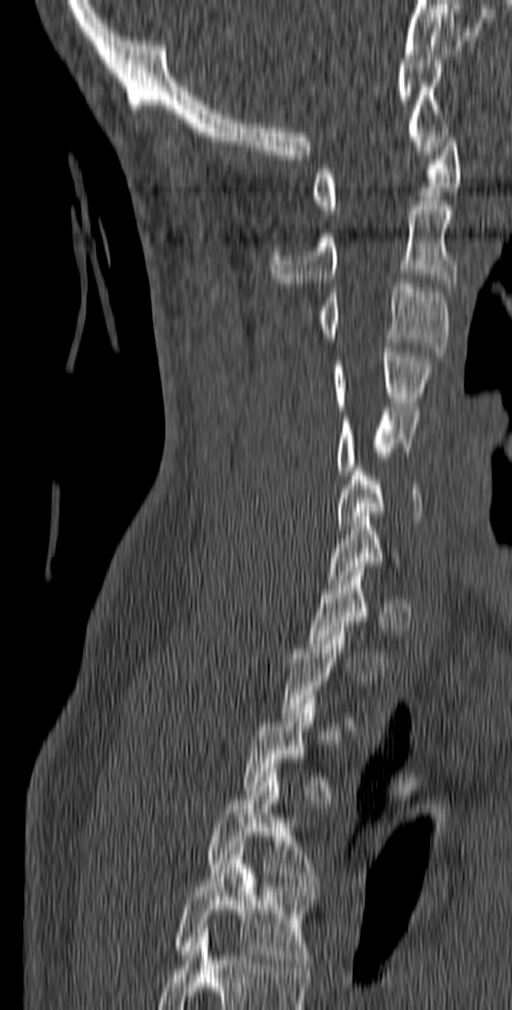

Spine computed tomography — sagittal view — image width 140 mm
Each box given as x1,y1,x2,y2.
Each vertebra is boxed only on the slices from the first to the last where its cross-section reaches a third of its largest, so a slice outside that range leaves it unboxed.
Labels in this scan begin with C1 at the top and end with T5 at the bottom.
C1: x1=312, y1=128, x2=461, y2=214
C2: x1=270, y1=201, x2=458, y2=287
C3: x1=319, y1=279, x2=449, y2=356
C4: x1=334, y1=347, x2=432, y2=410
C5: x1=337, y1=407, x2=419, y2=474
C6: x1=337, y1=466, x2=421, y2=529
T4: x1=206, y1=773, x2=320, y2=890
T5: x1=176, y1=850, x2=313, y2=968